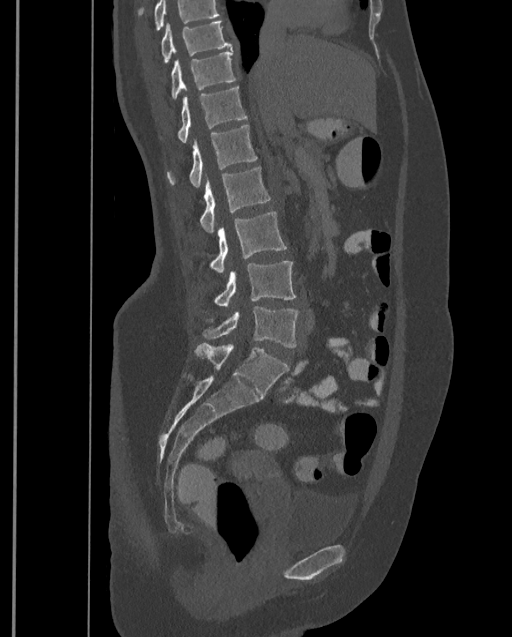
Spine computed tomography; sagittal view; 512x637 px

Boxes: x1 y1 x2 y2 (pixel coords, space-separated).
Vertebrae that run past the top of the scan are left unlabeled.
In this scan, the topmost labeled vertebra is T9 and the lowest is L4.
T9: 160 21 231 63
T10: 171 50 235 99
T11: 177 85 247 142
T12: 166 125 257 187
L1: 200 166 270 232
L2: 210 211 286 273
L3: 204 260 295 312
L4: 203 306 299 347